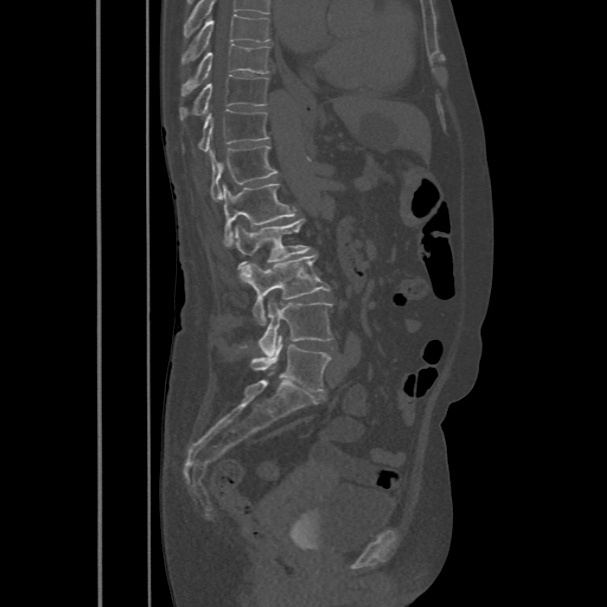

CT spine; sagittal view; bone-window reconstruction; 486 mm image width; 607x607 px
In the table, x1 and y1 are a box's top-left corner and x2 and y2 its bottom-right corner, in pixels.
This scan's labels start at T8 at the top and end at L5 at the bottom.
| vertebra | x1 | y1 | x2 | y2 |
|---|---|---|---|---|
| L5 | 251 | 336 | 331 | 391 |
| L4 | 257 | 298 | 332 | 355 |
| L3 | 240 | 255 | 330 | 324 |
| L2 | 231 | 218 | 311 | 284 |
| L1 | 221 | 183 | 298 | 246 |
| T12 | 210 | 145 | 278 | 200 |
| T11 | 183 | 110 | 269 | 152 |
| T10 | 180 | 75 | 269 | 120 |
| T9 | 181 | 43 | 271 | 96 |
| T8 | 181 | 13 | 271 | 65 |